Computed tomography of the spine; sagittal view; W/L 1800/400 HU; 412 mm across the image
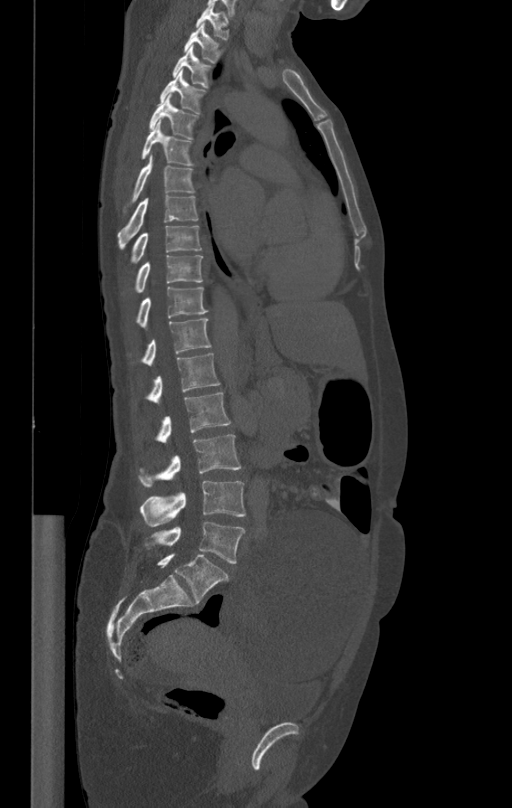

Each row gives a vertebra's box as x1, y1, x2, y2 in pixels: top-left corner, then bottom-right corner.
| vertebra | x1 | y1 | x2 | y2 |
|---|---|---|---|---|
| T1 | 195 | 4 | 230 | 39 |
| T2 | 184 | 23 | 223 | 62 |
| T3 | 172 | 47 | 213 | 88 |
| T4 | 160 | 70 | 205 | 113 |
| T5 | 148 | 94 | 198 | 139 |
| T6 | 140 | 122 | 196 | 166 |
| T7 | 122 | 155 | 195 | 215 |
| T8 | 118 | 195 | 198 | 248 |
| T9 | 124 | 226 | 201 | 271 |
| T10 | 135 | 255 | 203 | 292 |
| T11 | 137 | 286 | 208 | 328 |
| T12 | 142 | 318 | 211 | 366 |
| L1 | 148 | 352 | 220 | 405 |
| L2 | 156 | 393 | 230 | 442 |
| L3 | 140 | 435 | 241 | 487 |
| L4 | 140 | 481 | 245 | 526 |
| L5 | 144 | 521 | 245 | 563 |